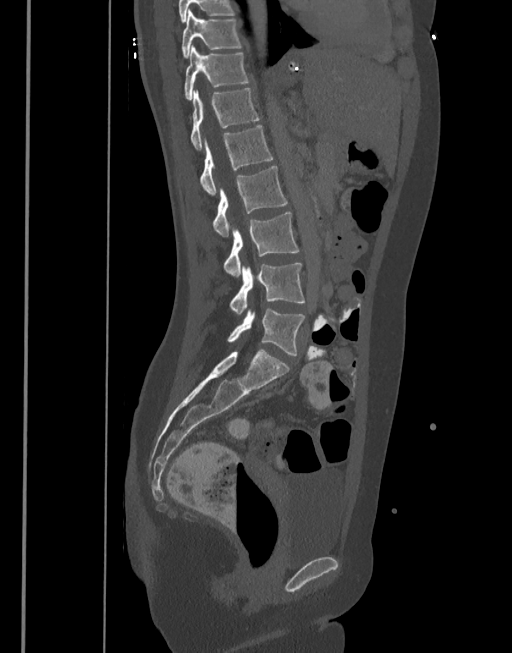 Spine computed tomography; sagittal view; W/L 1800/400 HU
<vertebrae><v name="L5" x1="228" y1="309" x2="304" y2="356"/><v name="L4" x1="229" y1="263" x2="306" y2="316"/><v name="L3" x1="224" y1="211" x2="299" y2="276"/><v name="L2" x1="213" y1="165" x2="287" y2="236"/><v name="L1" x1="201" y1="125" x2="273" y2="196"/><v name="T12" x1="191" y1="88" x2="260" y2="149"/><v name="T11" x1="185" y1="45" x2="249" y2="99"/><v name="T10" x1="182" y1="10" x2="241" y2="58"/></vertebrae>